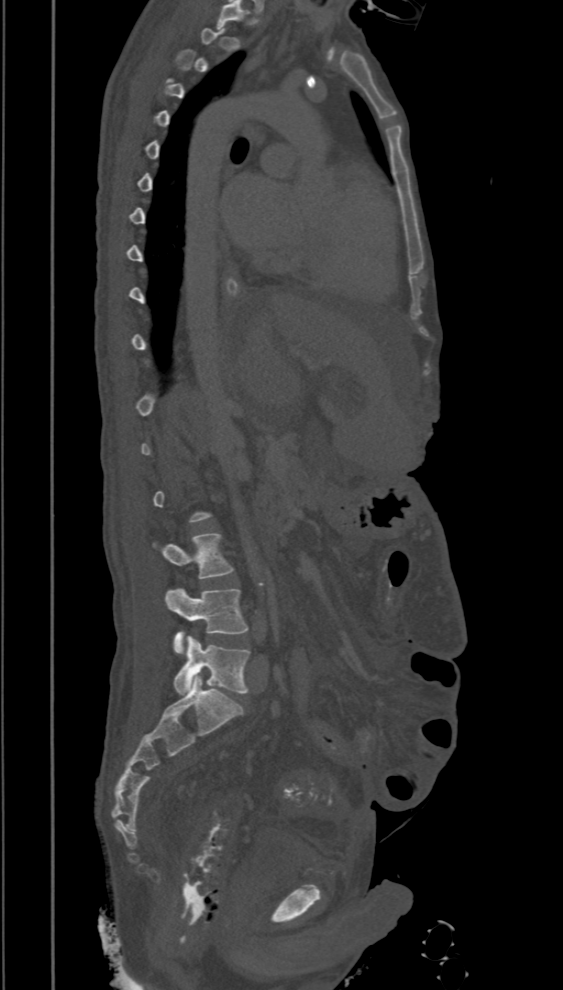

CT spine. 394 mm wide. sagittal view. Coordinates as <box>x1,y1,x2,y2</box>. A vertebra is boxed only from the first to the last slice where its cross-section is at least a third of its largest; slices outside that range leave it without a box. 3 vertebrae labeled — L3 at <box>152,533,234,578</box>; L4 at <box>164,587,247,654</box>; L5 at <box>174,636,251,694</box>.